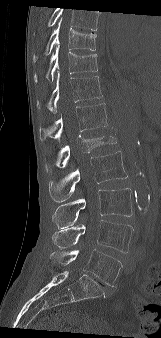

CT spine; sagittal reformat; bone window; 161x338 px; 161 mm across the image
Boxes below are [x1, y1, x2, y2] in pixels.
Vertebrae that run past the top of the scan are left unlabeled.
{"vertebrae":{"T9":[33,19,96,61],"T10":[33,45,97,81],"T11":[37,70,102,113],"T12":[39,103,107,142],"L1":[45,129,116,173],"L2":[49,151,127,202],"L3":[52,188,132,228],"L4":[52,220,133,252],"L5":[49,249,122,286]}}